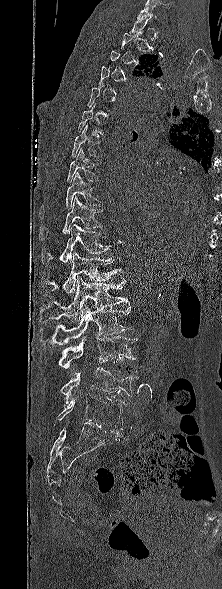
Spine CT; sagittal reformat
Box values are [left, top, right, bottom] in pixels.
A vertebra is boxed only from the first to the last slice where its cross-section is at least a third of its largest; slices outside that range leave it without a box.
{"vertebrae":{"L5":[58,395,125,429],"L4":[60,367,139,403],"L3":[58,336,138,374],"L2":[39,304,134,346],"L1":[38,276,129,322],"T12":[41,251,123,297],"T11":[41,223,111,266],"T10":[39,196,102,240],"T9":[39,172,102,217],"T8":[66,148,97,181],"T7":[71,124,100,157]}}